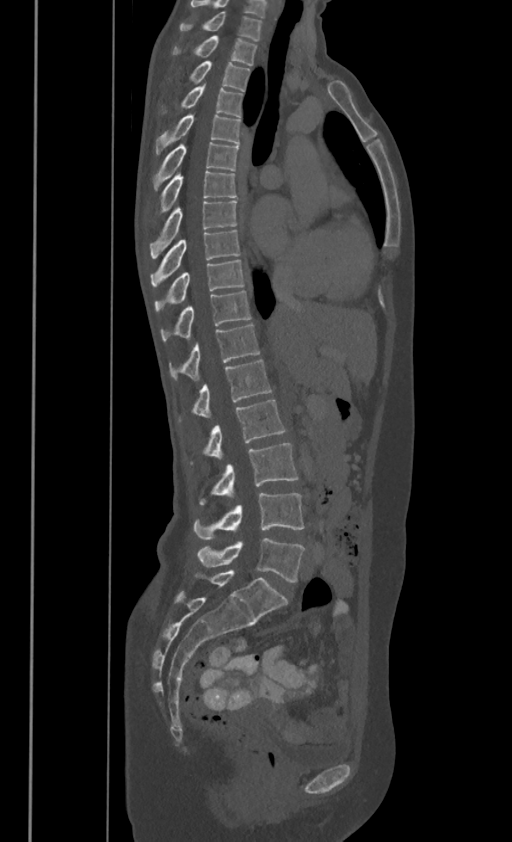

Spine computed tomography — the image is 386 mm wide — sagittal view — bone-window reconstruction — 512x842 px
Boxes: x1 y1 x2 y2 (pixel coords, space-separated).
In these labels the thoracic vertebrae end at T11, so L1 follows T11.
C7: 180 11 261 40
T1: 174 35 256 63
T2: 191 60 250 89
T3: 182 82 242 115
T4: 156 113 240 153
T5: 152 142 238 189
T6: 158 170 236 213
T7: 150 199 236 257
T8: 151 229 240 286
T9: 155 258 243 311
T10: 162 290 251 339
T11: 170 322 259 380
L1: 192 359 271 417
L2: 204 399 284 459
L3: 200 443 297 504
L4: 193 493 304 539
L5: 197 538 304 582